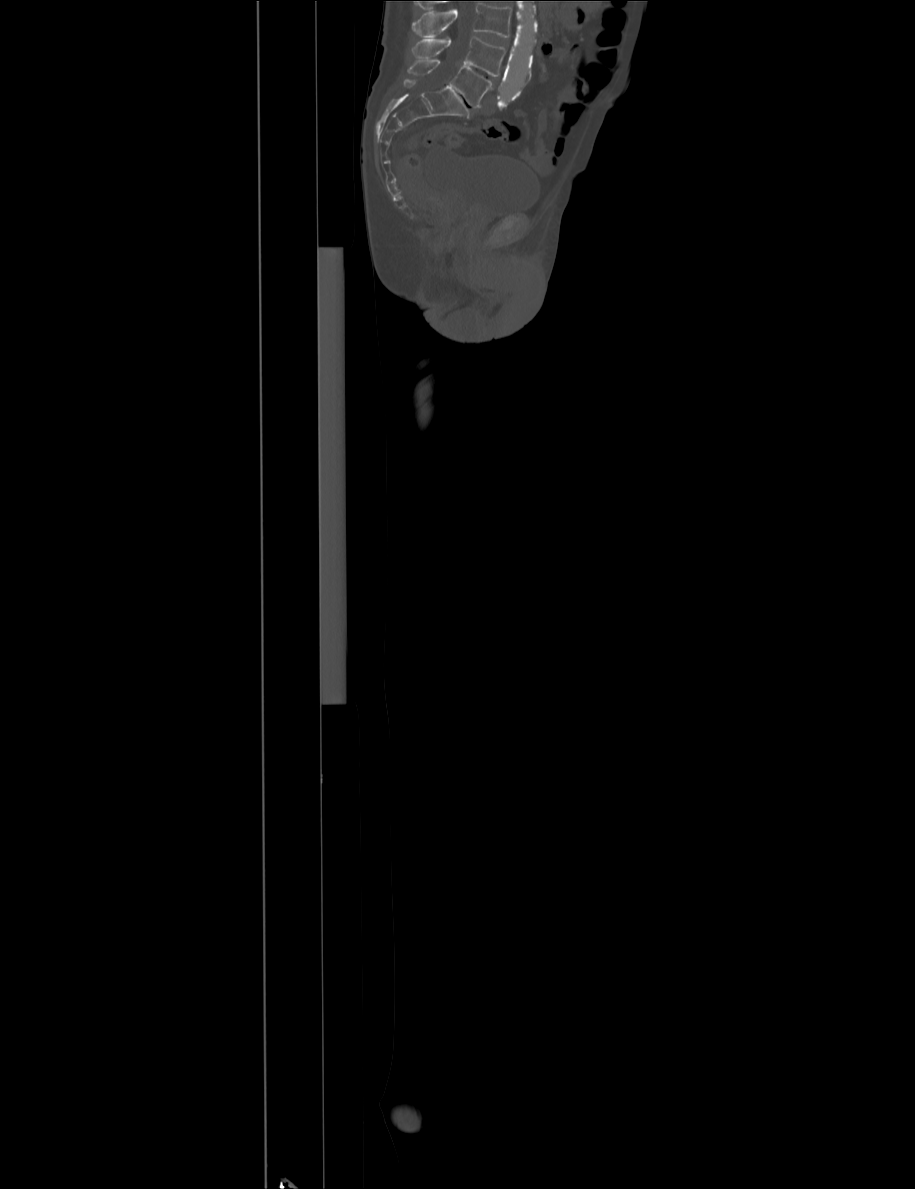 CT, spine · the image is 915 mm wide · sagittal reformat · bone window

No box is given to a vertebra that the top edge of the scan cuts off.
<vertebrae><v name="L5" x1="407" y1="59" x2="493" y2="107"/><v name="L4" x1="412" y1="37" x2="505" y2="76"/></vertebrae>